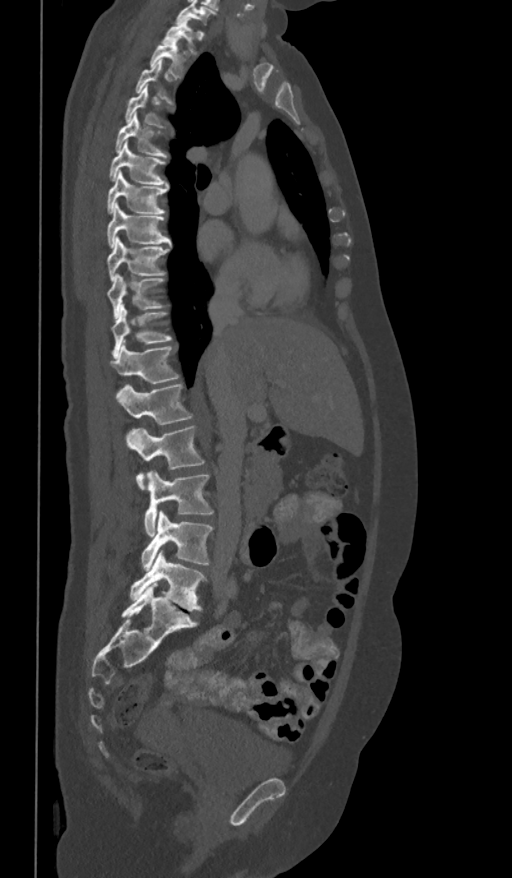

Spine computed tomography; sagittal view; 512x878 px
Each box is [x1, y1, x2, y2] in pixels: top-left corner, then bottom-right corner.
This scan's labels start at T1 at the top and end at L5 at the bottom.
{"vertebrae":{"L5":[129,550,204,610],"L4":[142,511,213,570],"L3":[144,470,213,535],"L2":[126,426,204,489],"L1":[115,384,192,425],"T12":[109,345,179,383],"T11":[110,305,172,356],"T10":[106,274,163,317],"T9":[106,236,169,280],"T8":[106,203,170,247],"T7":[106,172,168,213],"T6":[109,140,169,189],"T5":[116,112,166,157],"T4":[125,86,160,125],"T3":[136,60,172,102],"T2":[150,36,185,77],"T1":[163,19,196,54]}}